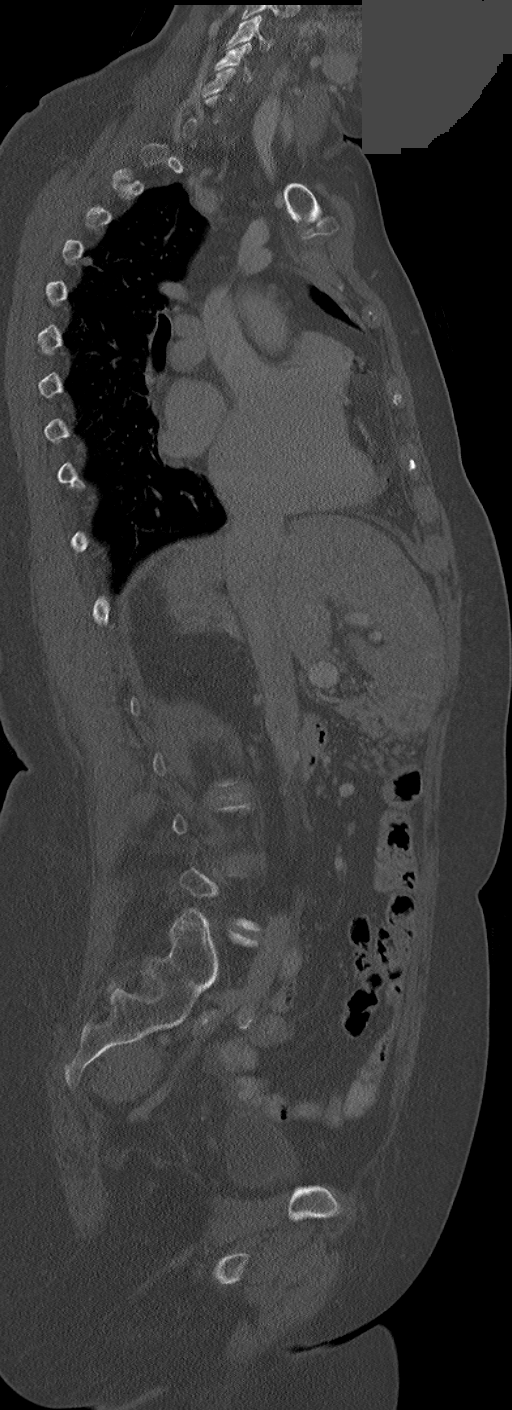
CT spine — sagittal view — 512x1410 px — some of the image was removed or blocked out with constant pixels
Each row gives a vertebra's box as x1, y1, x2, y2 in pixels: top-left corner, then bottom-right corner.
Each vertebra is boxed only on the slices from the first to the last where its cross-section reaches a third of its largest, so a slice outside that range leaves it unboxed.
| vertebra | x1 | y1 | x2 | y2 |
|---|---|---|---|---|
| C3 | 226 | 15 | 272 | 50 |
| C4 | 214 | 43 | 252 | 83 |
| C5 | 198 | 68 | 235 | 98 |